Spine computed tomography; sagittal view; bone window; 487x633 px; scan covers 17 annotated vertebrae
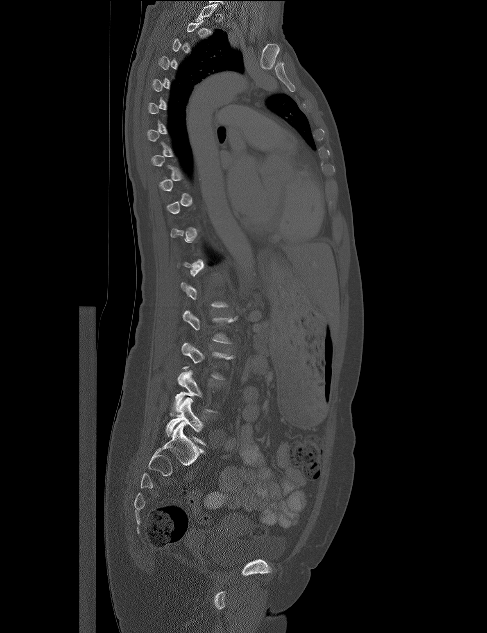

Boxes below are [x1, y1, x2, y2] in pixels.
A vertebra gets a box only on the slices from the first to the last where its cross-section is at least a third of its largest; on a slice outside that range it gets none.
{"vertebrae":{"L5":[166,398,206,445],"L4":[172,370,217,413],"L3":[178,342,234,380],"L2":[182,310,237,344]}}